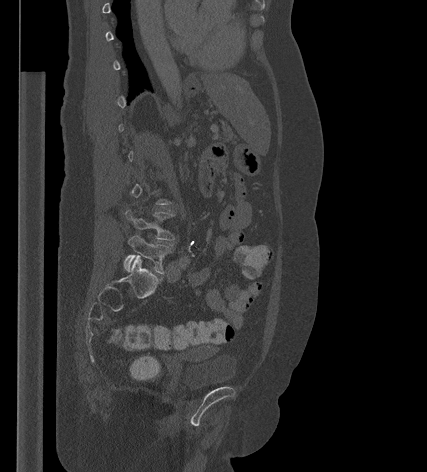
Spine computed tomography; sagittal view; bone window; 427x472 px
Each box given as x1,y1,x2,y2.
Each vertebra is boxed only on the slices from the first to the last where its cross-section reaches a third of its largest, so a slice outside that range leaves it unboxed.
| vertebra | x1 | y1 | x2 | y2 |
|---|---|---|---|---|
| L5 | 124 | 234 | 173 | 274 |
| L4 | 125 | 209 | 175 | 240 |